Spine computed tomography · sagittal view · bone window · 140 mm across the image
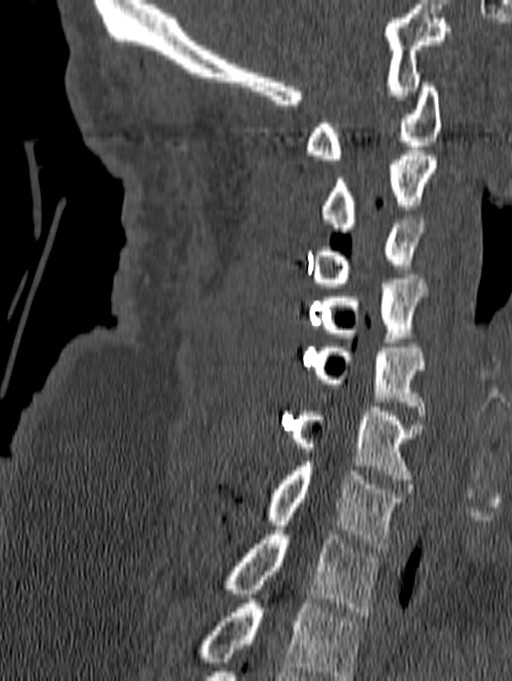 Each box given as x1,y1,x2,y2. Labels in this scan begin with C1 at the top and end with T1 at the bottom. 8 vertebrae labeled — C1 at x1=305, y1=78, x2=441, y2=159; C2 at x1=322, y1=151, x2=438, y2=232; C3 at x1=311, y1=215, x2=425, y2=287; C4 at x1=320, y1=279, x2=428, y2=342; C5 at x1=311, y1=343, x2=425, y2=415; C6 at x1=290, y1=407, x2=422, y2=479; C7 at x1=268, y1=462, x2=403, y2=548; T1 at x1=225, y1=530, x2=381, y2=616.